CT; sagittal plane, index 223; image 399 mm wide; bone window; 17 vertebrae labeled in this scan
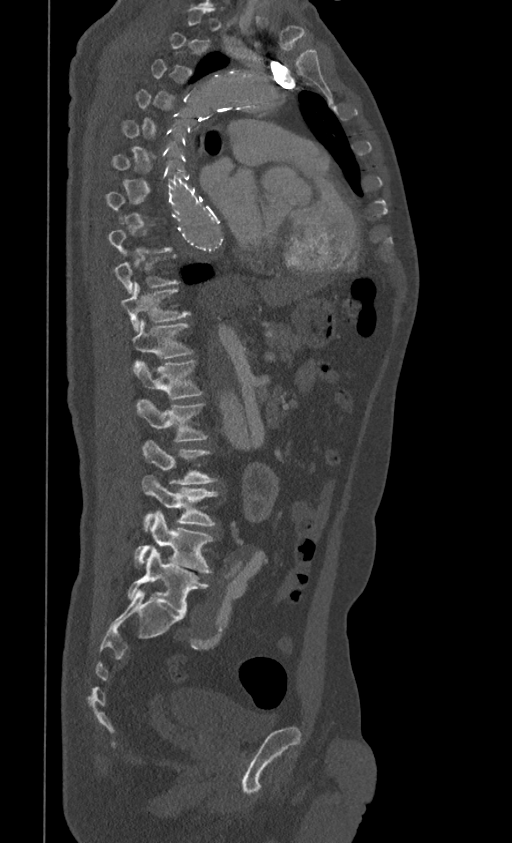 Each row gives a vertebra's box as x1, y1, x2, y2 in pixels: top-left corner, then bottom-right corner.
Not every vertebra on this slice has a box: a vertebra is boxed only from the first to the last slice where its cross-section is at least a third of its largest, and this slice is outside that range for at least one of them.
| vertebra | x1 | y1 | x2 | y2 |
|---|---|---|---|---|
| T9 | 115 | 251 | 179 | 295 |
| T10 | 122 | 282 | 190 | 332 |
| T11 | 132 | 320 | 194 | 358 |
| T12 | 132 | 360 | 203 | 400 |
| L1 | 136 | 400 | 208 | 441 |
| L2 | 142 | 440 | 217 | 484 |
| L3 | 142 | 475 | 220 | 531 |
| L4 | 135 | 510 | 214 | 573 |
| L5 | 127 | 547 | 208 | 615 |